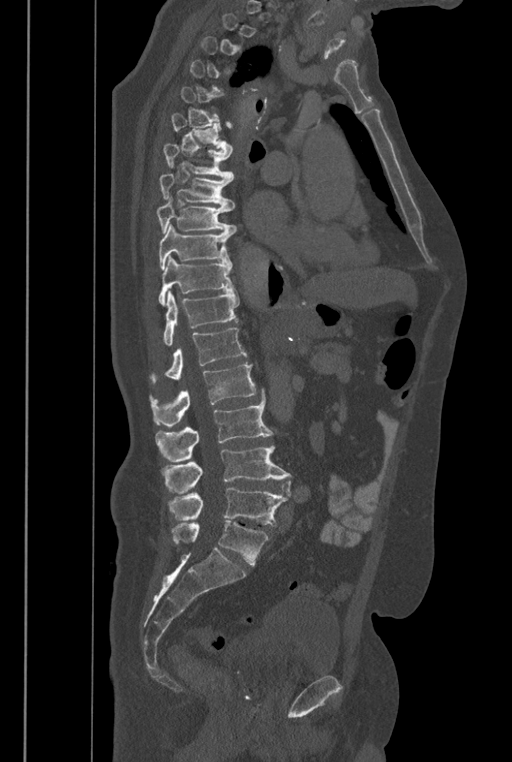
Computed tomography of the spine; sagittal view; bone window; 512x762 px
Boxes: x1 y1 x2 y2 (pixel coords, space-separated). A vertebra gets a box only on the slices from the first to the last where its cross-section is at least a third of its largest; on a slice outside that range it gets none. In these labels the spine has an L6, a sixth lumbar vertebra below L5. 13 vertebrae labeled — L6 at 172 521 268 565; L5 at 169 488 288 525; L4 at 162 445 293 496; L3 at 156 388 272 462; L2 at 150 363 256 427; L1 at 150 328 247 381; T12 at 163 290 239 345; T11 at 158 255 234 306; T10 at 158 224 234 270; T9 at 156 195 235 234; T8 at 159 174 234 210; T7 at 163 144 233 180; T6 at 171 113 232 152.